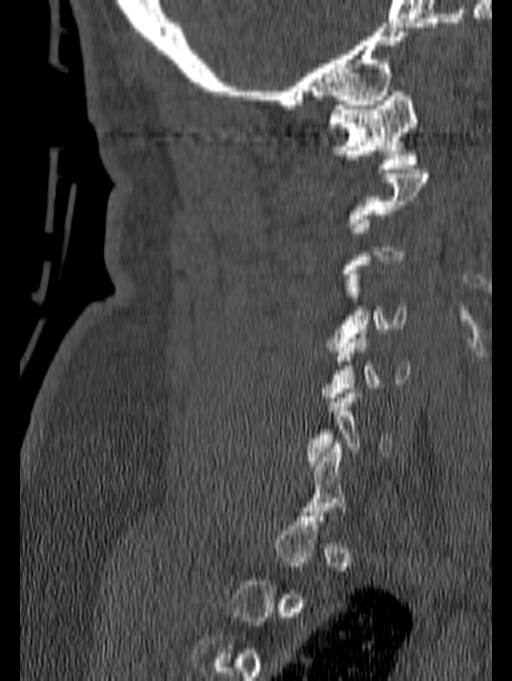 CT spine. sagittal view. bone window. the image spans 140 mm across
Boxes are (x1, y1, x2, y2) in pixels.
Each vertebra is boxed only on the slices from the first to the last where its cross-section reaches a third of its largest, so a slice outside that range leaves it unboxed.
C1: (328, 91, 417, 173)
C4: (326, 274, 407, 351)